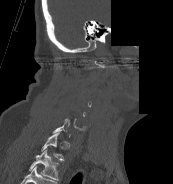
CT spine. sagittal reformat. some of the image was removed or blocked out with constant pixels

Boxes: x1 y1 x2 y2 (pixel coords, space-separated).
A vertebra gets a box only on the slices from the first to the last where its cross-section is at least a third of its largest; on a slice outside that range it gets none.
This scan's labels start at C1 at the top and end at T1 at the bottom.
C7: 52 118 70 137
T1: 40 133 64 161